Spine CT — sagittal view — 180 mm image width — 512x789 px
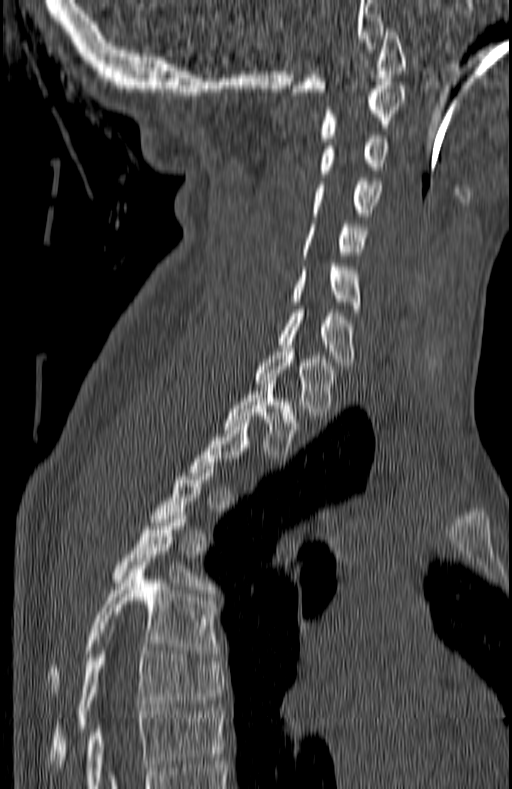 In the table, x1 and y1 are a box's top-left corner and x2 and y2 its bottom-right corner, in pixels.
Each vertebra is boxed only on the slices from the first to the last where its cross-section reaches a third of its largest, so a slice outside that range leaves it unboxed.
| vertebra | x1 | y1 | x2 | y2 |
|---|---|---|---|---|
| C1 | 291 | 28 | 407 | 95 |
| C2 | 319 | 85 | 404 | 141 |
| C3 | 319 | 135 | 390 | 177 |
| C4 | 311 | 178 | 381 | 216 |
| C5 | 300 | 224 | 364 | 255 |
| C6 | 291 | 263 | 361 | 312 |
| C7 | 277 | 309 | 353 | 369 |
| T1 | 254 | 348 | 336 | 419 |
| T2 | 223 | 380 | 299 | 458 |
| T5 | 112 | 512 | 210 | 589 |
| T6 | 49 | 562 | 216 | 692 |
| T7 | 49 | 647 | 225 | 767 |